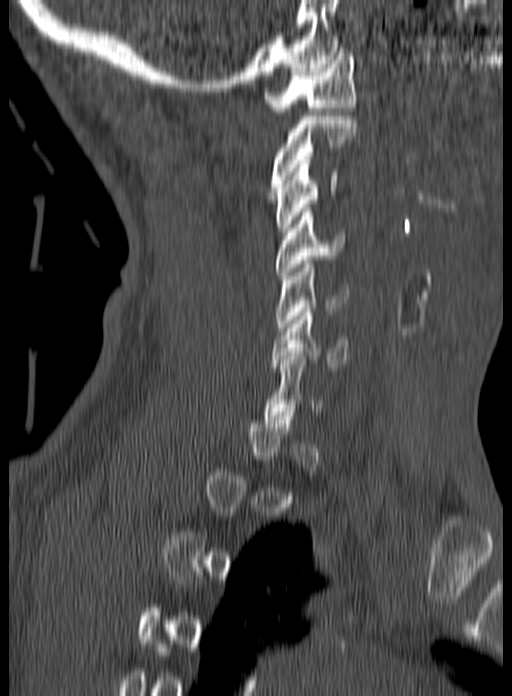
CT · sagittal reformat. Box edges are left/top/right/bottom in pixels. A vertebra gets a box only on the slices from the first to the last where its cross-section is at least a third of its largest; on a slice outside that range it gets none. 6 vertebrae labeled — C1 at left=263, top=48, right=356, bottom=111; C2 at left=269, top=112, right=357, bottom=195; C3 at left=275, top=160, right=337, bottom=231; C4 at left=276, top=208, right=347, bottom=279; C5 at left=275, top=260, right=347, bottom=331; C6 at left=270, top=308, right=350, bottom=375.